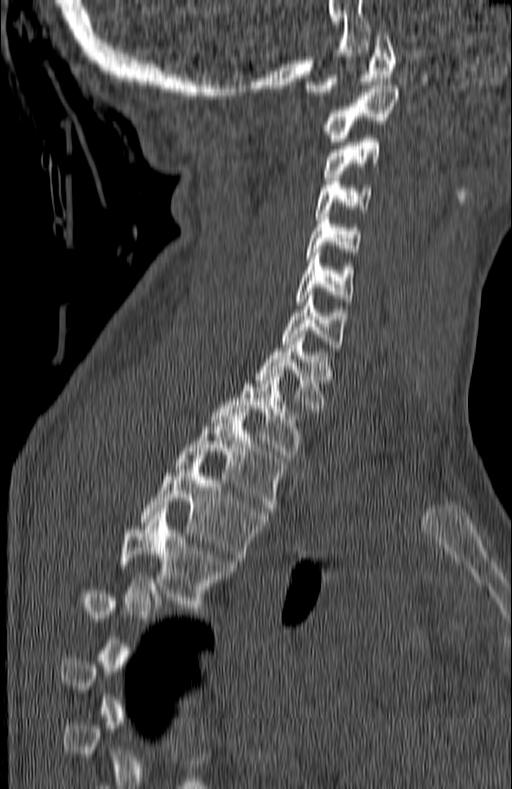
Computed tomography of the spine · sagittal reformat
Boxes: x1 y1 x2 y2 (pixel coords, space-separated).
A vertebra is boxed only from the first to the last slice where its cross-section is at least a third of its largest; slices outside that range leave it without a box.
Vertebra bounding boxes:
- C1: 305 32 395 95
- C2: 325 85 398 141
- C3: 323 139 382 180
- C4: 315 181 373 216
- C5: 305 217 361 259
- C6: 297 252 353 305
- C7: 283 299 344 351
- T1: 255 334 333 415
- T2: 211 373 304 458
- T3: 174 412 287 511
- T4: 140 459 264 561
- T5: 120 512 233 611